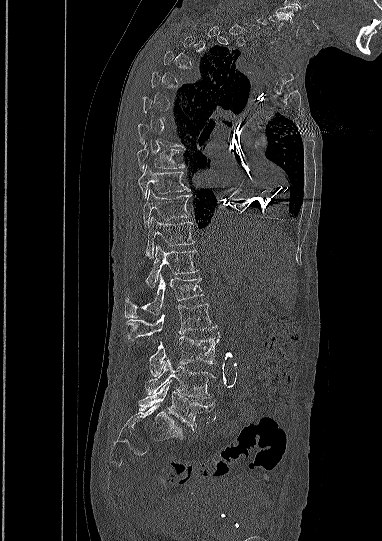
CT, spine · 382 mm across the image · sagittal view · W/L 1800/400 HU
Box values are [left, top, right, bottom] in pixels.
A vertebra is boxed only from the first to the last slice where its cross-section is at least a third of its largest; slices outside that range leave it without a box.
The highest labeled vertebra in this scan is C5; the lowest is L5.
{"vertebrae":{"C5":[269,15,288,29],"T8":[137,146,184,170],"T9":[138,165,190,198],"T10":[143,190,190,227],"T11":[147,216,194,257],"T12":[146,245,197,287],"L1":[125,274,203,318],"L2":[127,304,213,341],"L3":[149,336,219,376],"L4":[145,360,212,398],"L5":[139,382,213,430]}}